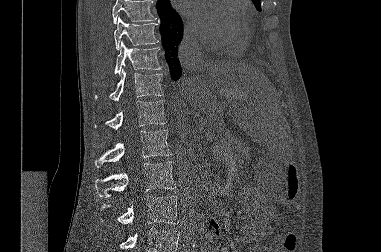
Computed tomography of the spine; sagittal view; 381x252 px

Vertebrae that run past the top or bottom of the scan are left unlabeled.
<vertebrae><v name="T9" x1="114" y1="16" x2="158" y2="49"/><v name="T10" x1="114" y1="40" x2="161" y2="74"/><v name="T11" x1="95" y1="68" x2="163" y2="101"/><v name="T12" x1="94" y1="100" x2="166" y2="129"/><v name="L1" x1="95" y1="130" x2="171" y2="167"/><v name="L2" x1="95" y1="161" x2="175" y2="197"/><v name="L3" x1="100" y1="196" x2="178" y2="224"/></vertebrae>